CT, spine; sagittal reformat; Bone window (WL 400, WW 1800)
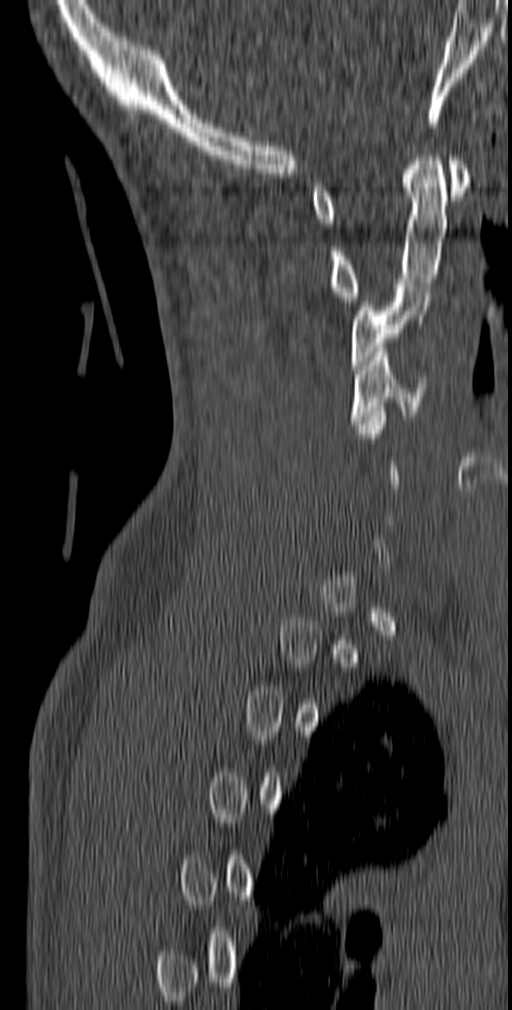

Not every vertebra on this slice has a box: a vertebra is boxed only from the first to the last slice where its cross-section is at least a third of its largest, and this slice is outside that range for at least one of them.
<vertebrae><v name="C1" x1="311" y1="155" x2="469" y2="228"/><v name="C2" x1="330" y1="151" x2="447" y2="301"/><v name="C3" x1="351" y1="283" x2="432" y2="369"/><v name="C4" x1="350" y1="347" x2="427" y2="424"/></vertebrae>